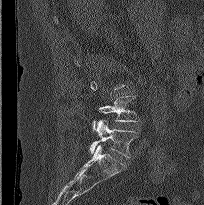
CT spine — sagittal view — 204x205 px. Bounding boxes as [x1, y1, x2, y2] in pixel coordinates. A vertebra gets a box only on the slices from the first to the last where its cross-section is at least a third of its largest; on a slice outside that range it gets none. 2 vertebrae labeled — L4 at [92, 96, 140, 131]; L5 at [89, 120, 138, 157].